Computed tomography of the spine. sagittal plane, index 238. Bone window (WL 400, WW 1800)
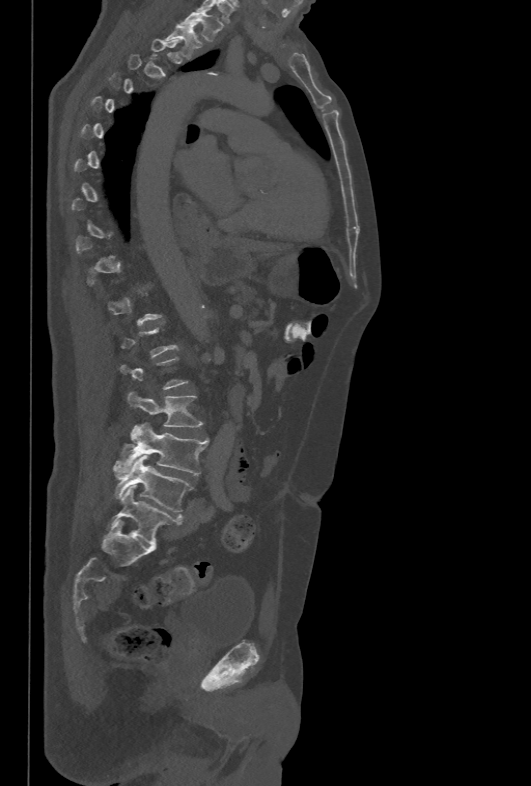
Box edges are left/top/right/bottom in pixels.
Not every vertebra on this slice has a box: a vertebra is boxed only from the first to the last slice where its cross-section is at least a third of its largest, and this slice is outside that range for at least one of them.
| vertebra | x1 | y1 | x2 | y2 |
|---|---|---|---|---|
| L5 | 114 | 456 | 192 | 513 |
| L4 | 113 | 423 | 208 | 476 |
| L3 | 128 | 392 | 202 | 427 |
| T2 | 163 | 25 | 197 | 57 |
| T1 | 182 | 10 | 221 | 41 |